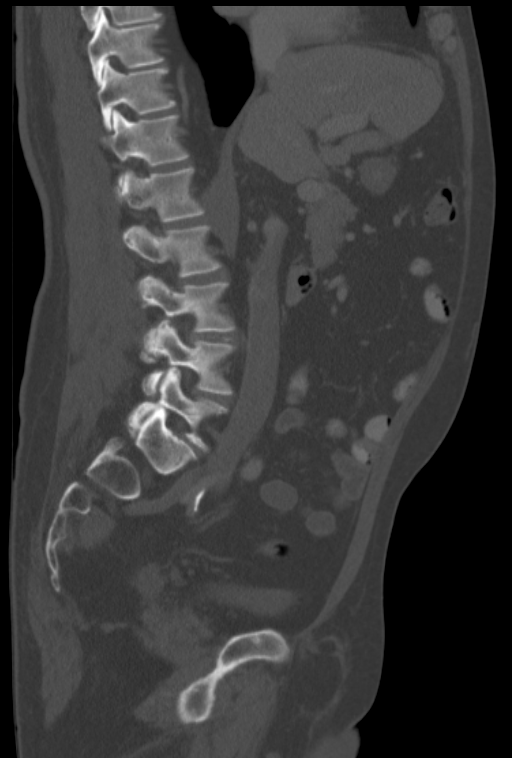 CT, spine; sagittal reformat; 512x758 px
Each box is [x1, y1, x2, y2] in pixels: top-left corner, then bottom-right corner.
{"vertebrae":{"T10":[88,13,163,82],"T11":[97,61,176,128],"T12":[102,111,189,166],"L1":[118,167,204,222],"L2":[123,226,220,277],"L3":[139,275,235,363],"L4":[142,321,235,395],"L5":[128,369,227,451]}}